CT · Sagittal slice 60/118 · 512x512 px
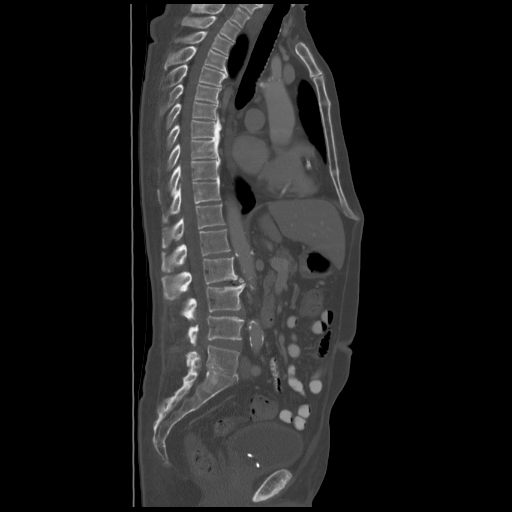 Box edges are left/top/right/bottom in pixels.
This scan's labels start at T2 at the top and end at L5 at the bottom.
Vertebra bounding boxes:
- L5: left=187, top=345, right=239, bottom=377
- L4: left=188, top=316, right=244, bottom=344
- L3: left=182, top=283, right=246, bottom=320
- L2: left=161, top=257, right=243, bottom=299
- L1: left=161, top=229, right=230, bottom=272
- T12: left=162, top=204, right=224, bottom=247
- T11: left=162, top=179, right=220, bottom=223
- T10: left=158, top=158, right=220, bottom=199
- T9: left=166, top=139, right=219, bottom=170
- T8: left=166, top=120, right=221, bottom=149
- T7: left=166, top=101, right=219, bottom=129
- T6: left=160, top=84, right=221, bottom=114
- T5: left=167, top=65, right=227, bottom=87
- T4: left=164, top=46, right=227, bottom=71
- T3: left=175, top=32, right=233, bottom=55
- T2: left=182, top=16, right=240, bottom=42